CT. sagittal view. W/L 1800/400 HU
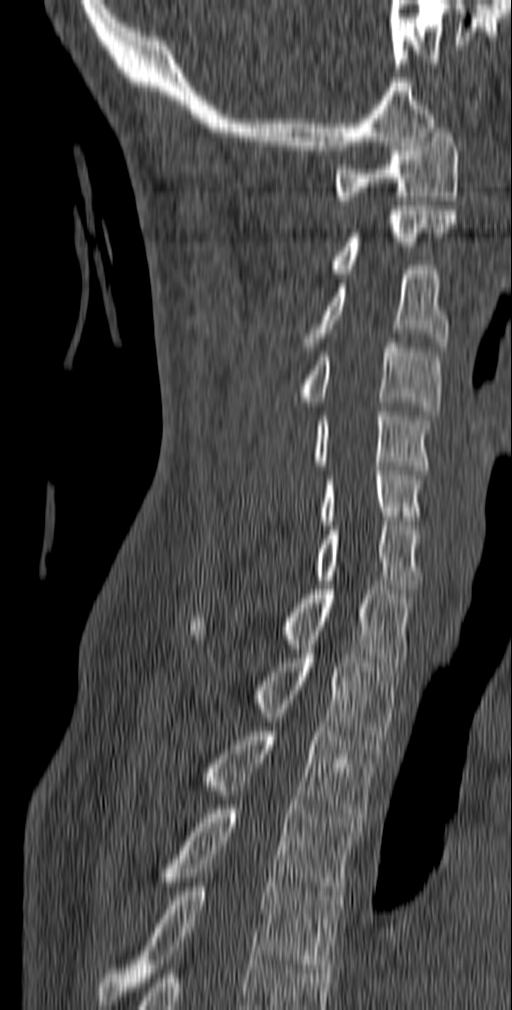 Coordinates as <box>x1,y1,x2,y2</box>.
Vertebra bounding boxes:
- C1: <box>334,128,459,205</box>
- C2: <box>330,206,456,273</box>
- C3: <box>301,265,449,351</box>
- C4: <box>294,338,441,415</box>
- C5: <box>312,407,432,474</box>
- C6: <box>320,466,425,525</box>
- C7: <box>316,521,422,593</box>
- T1: <box>190,585,414,666</box>
- T2: <box>254,649,400,740</box>
- T3: <box>202,727,381,822</box>
- T4: <box>159,805,359,900</box>
- T5: <box>98,878,340,1005</box>